CT, spine — sagittal plane, index 243 — W/L 1800/400 HU — the image is 336 mm wide — 8 vertebrae labeled in this scan
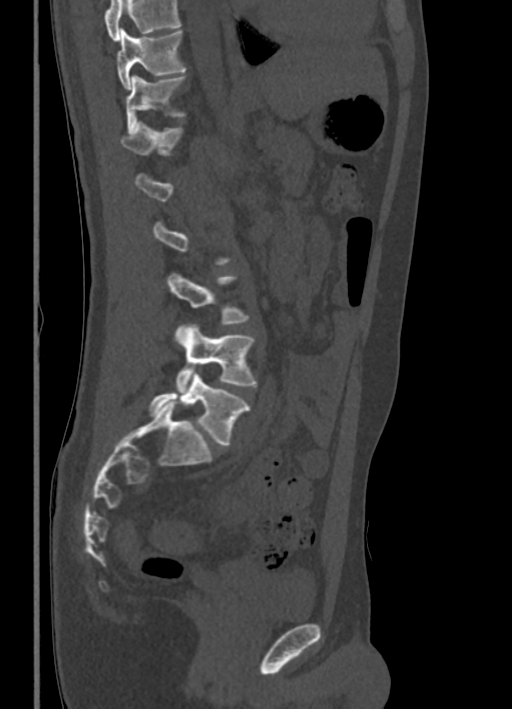
A vertebra is boxed only from the first to the last slice where its cross-section is at least a third of its largest; slices outside that range leave it without a box.
Vertebrae that run past the top of the scan are left unlabeled.
<vertebrae><v name="T10" x1="117" y1="29" x2="186" y2="89"/><v name="T11" x1="126" y1="74" x2="185" y2="133"/><v name="T12" x1="120" y1="122" x2="182" y2="154"/><v name="L3" x1="167" y1="273" x2="249" y2="323"/><v name="L4" x1="176" y1="324" x2="256" y2="392"/><v name="L5" x1="149" y1="372" x2="249" y2="445"/></vertebrae>